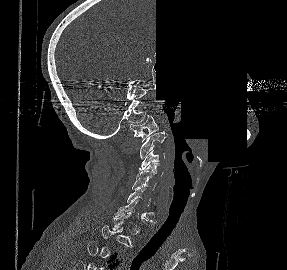
Spine CT · sagittal reformat · a region is blanked to uniform black, ending in a straight edge
Boxes: x1 y1 x2 y2 (pixel coords, space-separated). Each vertebra is boxed only on the slices from the first to the last where its cross-section reaches a third of its largest, so a slice outside that range leaves it unboxed. The labeled vertebrae in this slice are: C7 at 114 199 157 222, C6 at 127 187 154 217, C5 at 132 178 156 190, C4 at 136 163 163 178, C3 at 139 150 164 170, C2 at 140 131 166 158, C1 at 130 115 158 141.